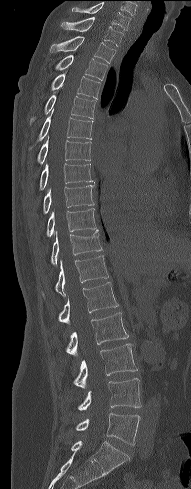 CT — sagittal view — bone-window reconstruction
<vertebrae><v name="C7" x1="72" y1="3" x2="130" y2="30"/><v name="T1" x1="60" y1="17" x2="123" y2="46"/><v name="T2" x1="50" y1="36" x2="115" y2="63"/><v name="T3" x1="55" y1="55" x2="107" y2="80"/><v name="T4" x1="36" y1="73" x2="101" y2="99"/><v name="T5" x1="29" y1="95" x2="96" y2="127"/><v name="T6" x1="29" y1="109" x2="93" y2="149"/><v name="T7" x1="37" y1="136" x2="91" y2="163"/><v name="T8" x1="39" y1="163" x2="92" y2="190"/><v name="T9" x1="43" y1="185" x2="94" y2="213"/><v name="T10" x1="46" y1="208" x2="96" y2="236"/><v name="T11" x1="51" y1="229" x2="102" y2="264"/><v name="T12" x1="55" y1="255" x2="108" y2="296"/><v name="L1" x1="59" y1="282" x2="118" y2="322"/><v name="L2" x1="66" y1="312" x2="128" y2="355"/><v name="L3" x1="63" y1="343" x2="137" y2="391"/><v name="L4" x1="75" y1="378" x2="141" y2="411"/><v name="L5" x1="62" y1="413" x2="140" y2="445"/></vertebrae>